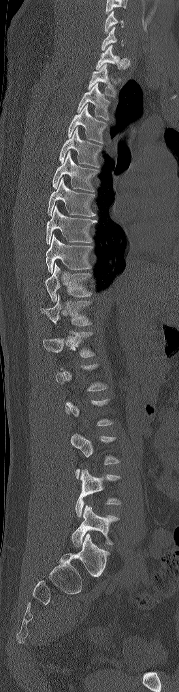

Spine CT. sagittal reformat. Bone window (WL 400, WW 1800)
Not every vertebra on this slice has a box: a vertebra is boxed only from the first to the last slice where its cross-section is at least a third of its largest, and this slice is outside that range for at least one of them.
Labels in this scan begin with C6 at the top and end with L5 at the bottom.
<vertebrae><v name="C6" x1="104" y1="10" x2="123" y2="33"/><v name="C7" x1="101" y1="27" x2="123" y2="50"/><v name="T1" x1="95" y1="45" x2="119" y2="69"/><v name="T2" x1="88" y1="64" x2="116" y2="97"/><v name="T3" x1="77" y1="83" x2="110" y2="120"/><v name="T4" x1="67" y1="104" x2="107" y2="143"/><v name="T5" x1="59" y1="127" x2="100" y2="166"/><v name="T6" x1="52" y1="151" x2="96" y2="191"/><v name="T7" x1="47" y1="178" x2="95" y2="216"/><v name="T8" x1="46" y1="205" x2="95" y2="244"/><v name="T9" x1="46" y1="234" x2="92" y2="272"/><v name="T10" x1="45" y1="263" x2="92" y2="301"/><v name="T11" x1="41" y1="294" x2="92" y2="326"/><v name="T12" x1="43" y1="330" x2="95" y2="357"/><v name="L4" x1="75" y1="469" x2="121" y2="517"/><v name="L5" x1="71" y1="505" x2="119" y2="547"/></vertebrae>